Computed tomography of the spine · sagittal plane, index 269 · Bone window (WL 400, WW 1800) · scan covers 16 annotated vertebrae
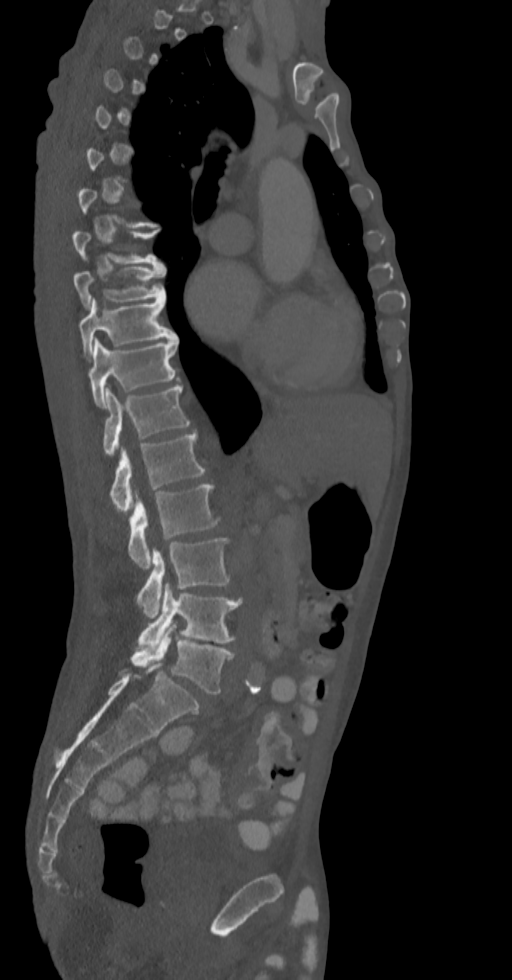 Boxes: x1:y1:x2:y2 in pixels.
Each vertebra is boxed only on the slices from the first to the last where its cross-section reaches a third of its largest, so a slice outside that range leaves it unboxed.
Vertebra bounding boxes:
- L5: 131:623:233:694
- L4: 138:584:243:648
- L3: 137:538:230:618
- L2: 128:485:220:569
- L1: 109:431:206:513
- T12: 102:386:191:455
- T11: 88:338:179:407
- T10: 79:296:177:359
- T9: 73:264:165:310
- T8: 73:229:163:266